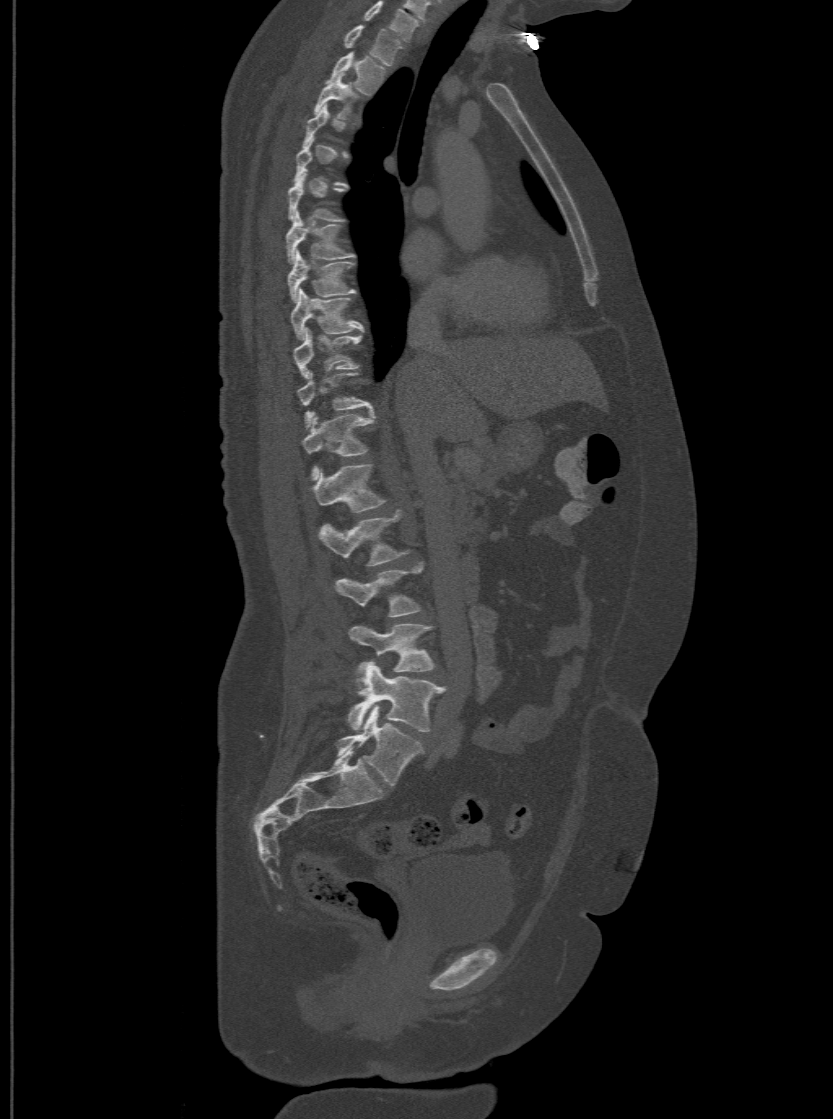
Spine computed tomography; sagittal view; the image spans 500 mm across; bone-window reconstruction

Coordinates as <box>x1,y1,x2,y2</box>.
Not every vertebra on this slice has a box: a vertebra is boxed only from the first to the last slice where its cross-section is at least a third of its largest, and this slice is outside that range for at least one of them.
Labels in this scan begin with T1 at the top and end with L6 at the bottom.
These labels give the spine a sixth lumbar vertebra, L6, below L5.
T1: <box>343,25,403,64</box>
T2: <box>329,52,385,94</box>
T3: <box>312,73,357,117</box>
T6: <box>288,173,342,219</box>
T7: <box>286,212,354,262</box>
T8: <box>286,250,354,301</box>
T9: <box>290,288,364,339</box>
T10: <box>293,327,360,377</box>
T11: <box>298,370,372,427</box>
T12: <box>301,412,373,479</box>
L1: <box>311,463,386,511</box>
L2: <box>319,510,408,565</box>
L3: <box>335,563,422,617</box>
L4: <box>350,624,434,682</box>
L5: <box>347,661,443,732</box>
L6: <box>337,706,422,785</box>